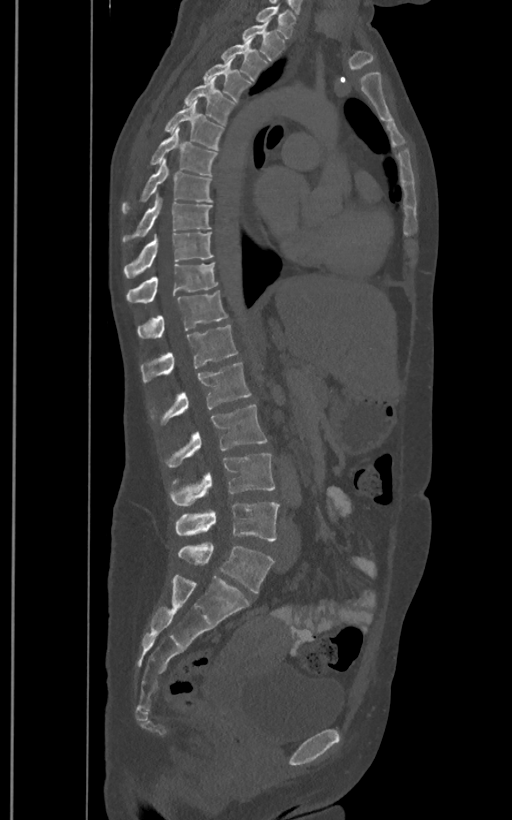

CT · sagittal view · 512x820 px · 400 mm image width
Coordinates as <box>x1,y1,x2,y2</box>.
The labels name a sixth lumbar vertebra for this spine: L6, after L5.
T1: <box>256,6,295,38</box>
T2: <box>242,18,284,60</box>
T3: <box>221,38,266,81</box>
T4: <box>203,56,251,102</box>
T5: <box>184,77,234,125</box>
T6: <box>164,100,223,150</box>
T7: <box>150,128,216,175</box>
T8: <box>121,159,211,214</box>
T9: <box>123,195,211,242</box>
T10: <box>124,232,213,278</box>
T11: <box>127,263,218,302</box>
T12: <box>137,290,228,338</box>
L1: <box>141,325,237,383</box>
L2: <box>151,362,251,425</box>
L3: <box>165,404,268,468</box>
L4: <box>169,453,275,506</box>
L5: <box>175,501,279,540</box>
L6: <box>178,543,274,592</box>